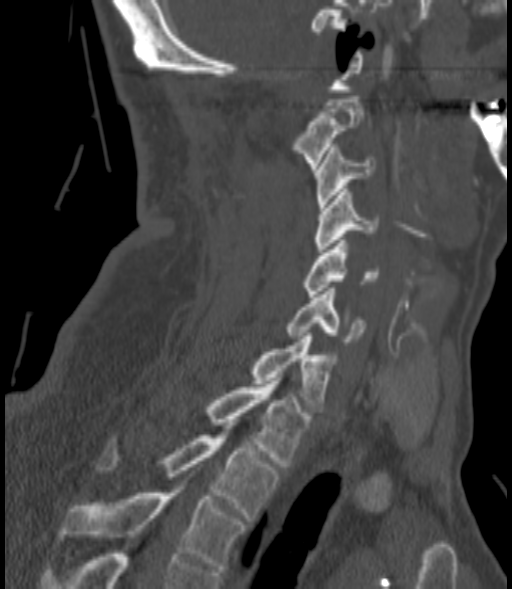
CT, spine · sagittal reformat · W/L 1800/400 HU
Each box is [x1, y1, x2, y2] in pixels: top-left corner, then bottom-right corner.
{"vertebrae":{"C2":[290,96,363,169],"C3":[313,147,374,210],"C4":[313,189,378,249],"C5":[303,240,379,297],"C6":[285,288,367,345],"C7":[249,333,335,412],"T1":[203,381,310,466],"T2":[96,435,279,521],"T3":[62,493,246,569]}}